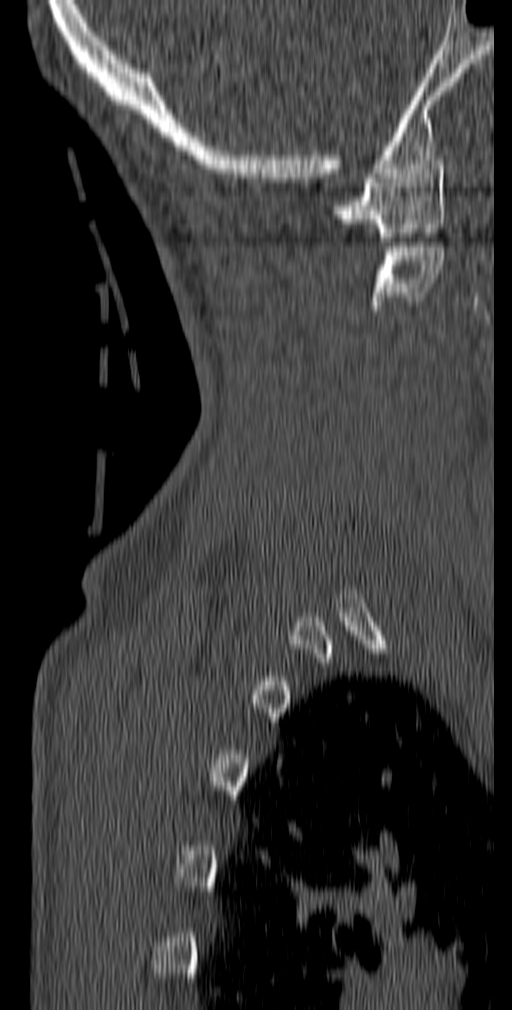 CT; sagittal view; bone-window reconstruction. Boxes are given in columns x1, y1, x2, y2, the pixel coordinates of their top-left and bottom-right corners.
| vertebra | x1 | y1 | x2 | y2 |
|---|---|---|---|---|
| C1 | 333 | 165 | 444 | 241 |
| C2 | 371 | 242 | 444 | 310 |